CT spine. the image spans 180 mm across. sagittal view. Bone window (WL 400, WW 1800)
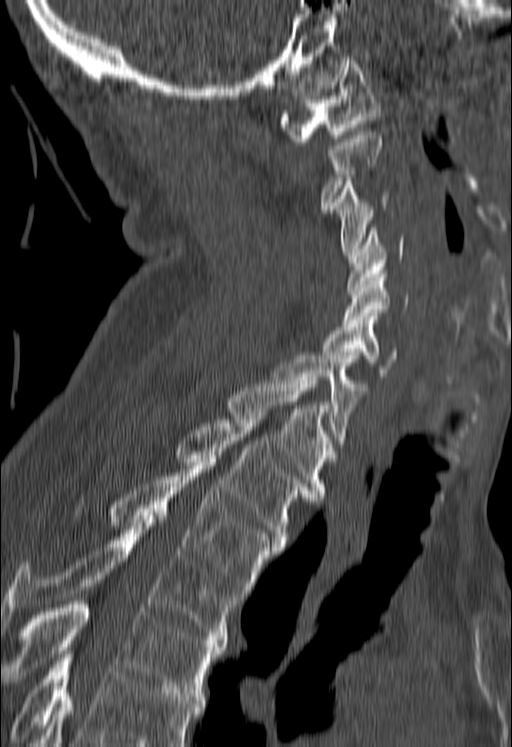

Boxes are (x1, y1, x2, y2) in pixels.
A vertebra gets a box only on the slices from the first to the last where its cross-section is at least a third of its largest; on a slice outside that range it gets none.
Vertebrae that run past the bottom of the scan are left unlabeled.
C1: (279, 57, 381, 145)
C3: (331, 178, 390, 255)
C4: (347, 228, 404, 291)
C5: (344, 270, 408, 323)
C6: (322, 316, 396, 376)
C7: (271, 356, 367, 447)
T1: (226, 377, 333, 497)
T2: (174, 416, 310, 547)
T3: (109, 466, 282, 596)
T4: (0, 519, 239, 643)
T5: (2, 601, 225, 696)